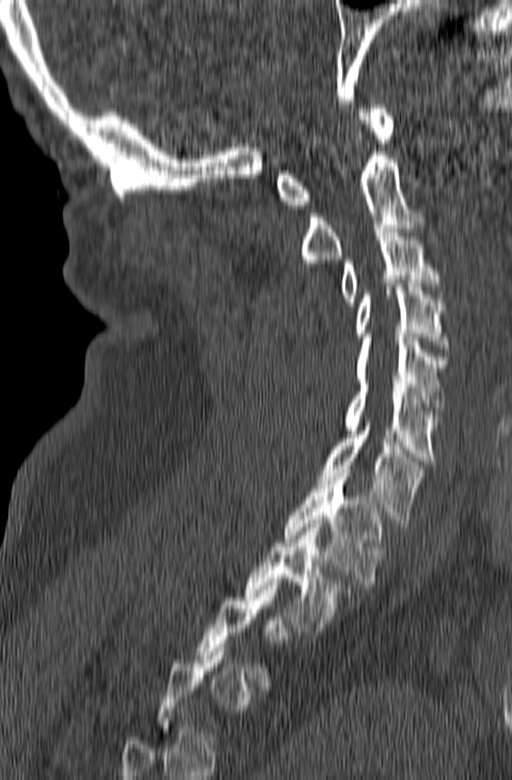

CT — 165 mm wide — sagittal view — bone window
Boxes: x1:y1:x2:y2 in pixels.
Each vertebra is boxed only on the slices from the first to the last where its cross-section reaches a third of its largest, so a slice outside that range leaves it unboxed.
Vertebra bounding boxes:
- T2: 243:520:350:631
- T1: 285:469:383:589
- C7: 318:419:425:527
- C6: 342:380:440:464
- C5: 355:337:447:418
- C4: 355:283:447:348
- C3: 339:225:441:305
- C2: 299:151:425:267
- C1: 276:105:394:208